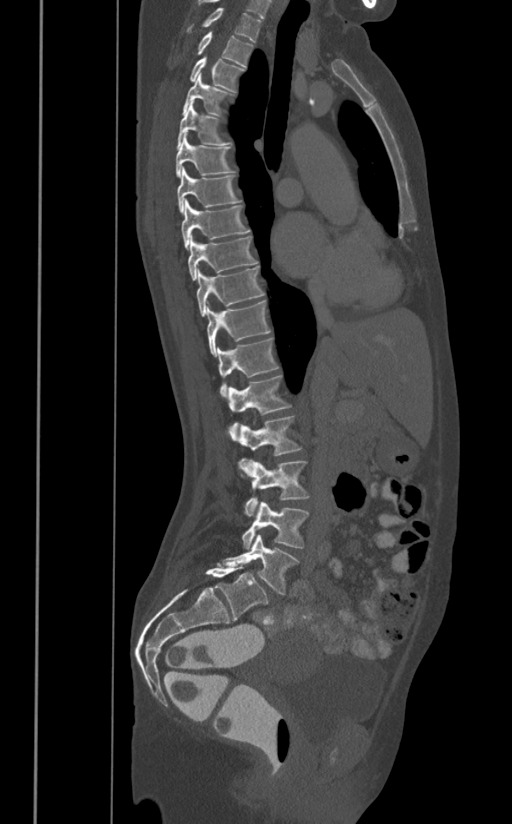 Spine CT. sagittal view. image 391 mm wide. Bone window (WL 400, WW 1800). 512x824 px
In the table, x1 and y1 are a box's top-left corner and x2 and y2 its bottom-right corner, in pixels.
| vertebra | x1 | y1 | x2 | y2 |
|---|---|---|---|---|
| T1 | 187 | 7 | 261 | 41 |
| T2 | 194 | 32 | 253 | 66 |
| T3 | 190 | 55 | 244 | 92 |
| T4 | 183 | 72 | 233 | 116 |
| T5 | 176 | 100 | 231 | 149 |
| T6 | 175 | 133 | 233 | 178 |
| T7 | 177 | 167 | 241 | 213 |
| T8 | 182 | 200 | 250 | 249 |
| T9 | 187 | 235 | 257 | 281 |
| T10 | 196 | 266 | 265 | 316 |
| T11 | 207 | 301 | 270 | 356 |
| T12 | 217 | 338 | 279 | 396 |
| L1 | 228 | 375 | 291 | 440 |
| L2 | 239 | 415 | 300 | 455 |
| L3 | 238 | 458 | 309 | 515 |
| L4 | 242 | 502 | 309 | 549 |
| L5 | 222 | 534 | 297 | 594 |